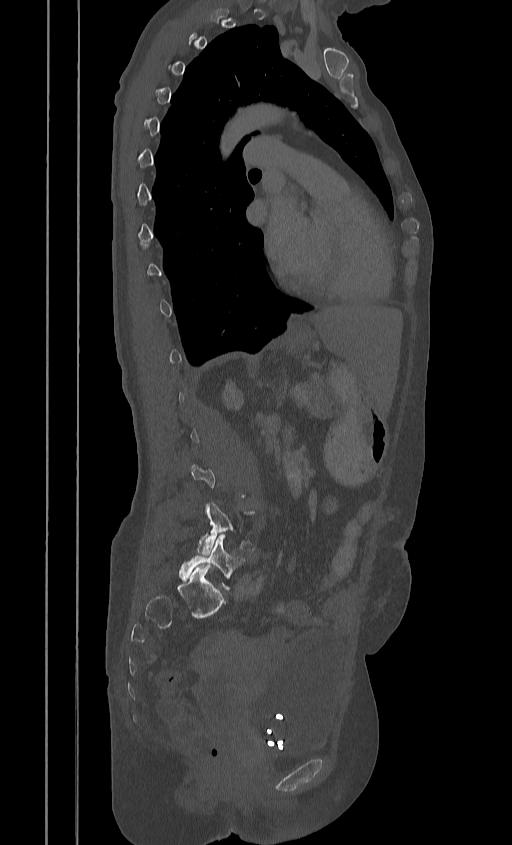
CT spine — sagittal view — bone-window reconstruction
Boxes are (x1, y1, x2, y2) in pixels.
A vertebra gets a box only on the slices from the first to the last where its cross-section is at least a third of its largest; on a slice outside that range it gets none.
L4: (197, 503, 255, 554)
L5: (178, 533, 243, 588)